CT spine; sagittal plane, index 29; Bone window (WL 400, WW 1800)
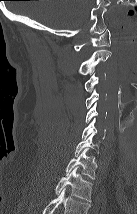
Boxes: x1:y1:x2:y2 in pixels. Labels in this scan begin with C1 at the top and end with T2 at the bottom. The labeled vertebrae in this slice are: C1 at 74:29:110:51, C2 at 79:49:111:74, C3 at 85:73:105:92, C4 at 85:89:107:108, C5 at 86:102:106:123, C6 at 82:118:105:140, C7 at 75:133:98:155, T1 at 65:148:97:179, T2 at 55:166:92:201.